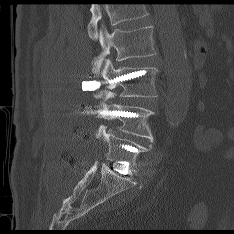
CT spine; sagittal reformat
Each row gives a vertebra's box as x1, y1, x2, y2 in pixels: top-left corner, then bottom-right corner.
Vertebrae that run past the top of the scan are left unlabeled.
| vertebra | x1 | y1 | x2 | y2 |
|---|---|---|---|---|
| L2 | 92 | 25 | 155 | 73 |
| L3 | 94 | 59 | 157 | 98 |
| L4 | 96 | 92 | 154 | 141 |
| L5 | 96 | 126 | 151 | 170 |